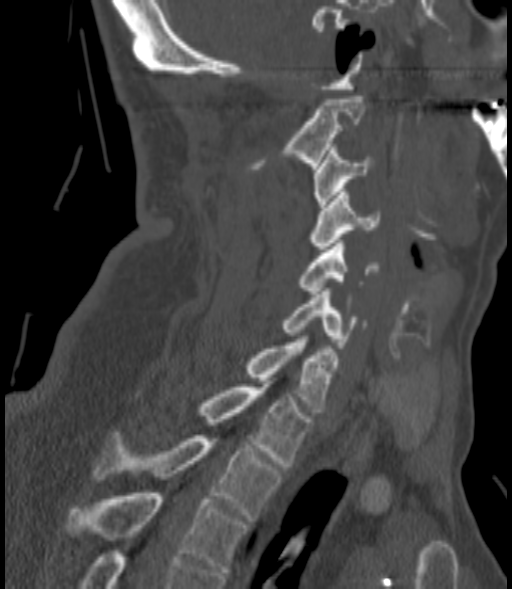
CT, spine; sagittal view; 512x589 px
Box edges are left/top/right/bottom in pixels.
Vertebra bounding boxes:
- C2: left=252, top=96, right=363, bottom=169
- C3: left=313, top=147, right=372, bottom=207
- C4: left=311, top=189, right=379, bottom=249
- C5: left=298, top=240, right=378, bottom=293
- C6: left=282, top=288, right=365, bottom=348
- C7: left=247, top=336, right=338, bottom=412
- T1: left=198, top=384, right=310, bottom=466
- T2: left=93, top=432, right=281, bottom=521
- T3: left=65, top=493, right=246, bottom=572